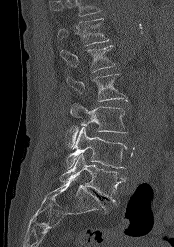

Computed tomography of the spine — image 174 mm wide — sagittal view. Box edges are left/top/right/bottom in pixels.
Vertebrae that run past the top of the scan are left unlabeled.
Vertebra bounding boxes:
- T12: left=58, top=18, right=109, bottom=45
- L1: left=60, top=45, right=115, bottom=72
- L2: left=66, top=74, right=127, bottom=101
- L3: left=67, top=103, right=127, bottom=148
- L4: left=66, top=127, right=126, bottom=168
- L5: left=59, top=154, right=125, bottom=205